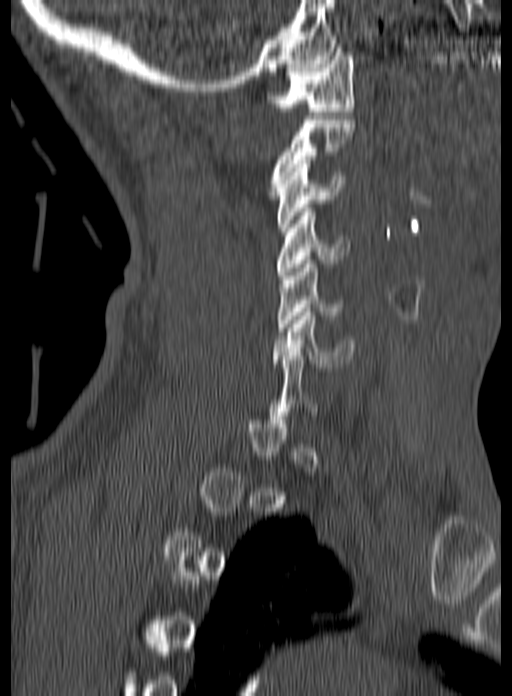
CT · sagittal view
Boxes: x1 y1 x2 y2 (pixel coords, space-separated).
A vertebra is boxed only from the first to the last slice where its cross-section is at least a third of its largest; slices outside that range leave it without a box.
C6: 273 308 355 367
C5: 277 260 346 331
C4: 276 208 350 279
C3: 276 160 345 231
C2: 269 116 355 195
C1: 266 48 354 111